CT, spine · sagittal view
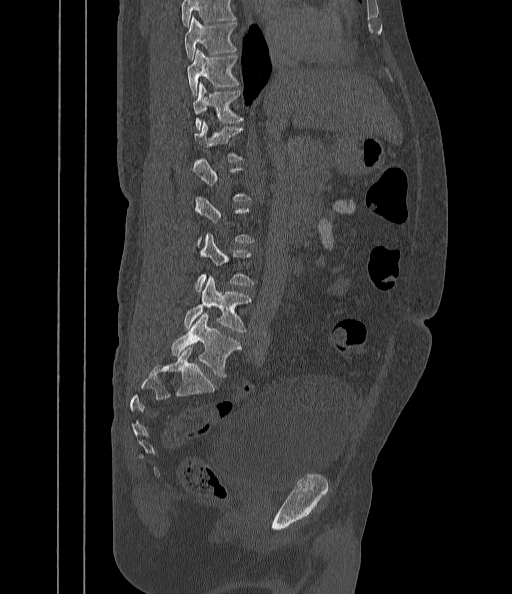 Each box given as x1,y1,x2,y2.
Not every vertebra on this slice has a box: a vertebra is boxed only from the first to the last slice where its cross-section is at least a third of its largest, and this slice is outside that range for at least one of them.
Where the top of the scan cuts through a vertebra, that vertebra gets no label or box.
T9: x1=184, y1=16, x2=236, y2=60
T10: x1=186, y1=50, x2=239, y2=95
T11: x1=192, y1=83, x2=242, y2=129
L3: x1=196, y1=235, x2=253, y2=293
L4: x1=184, y1=276, x2=250, y2=333
L5: x1=171, y1=313, x2=241, y2=376